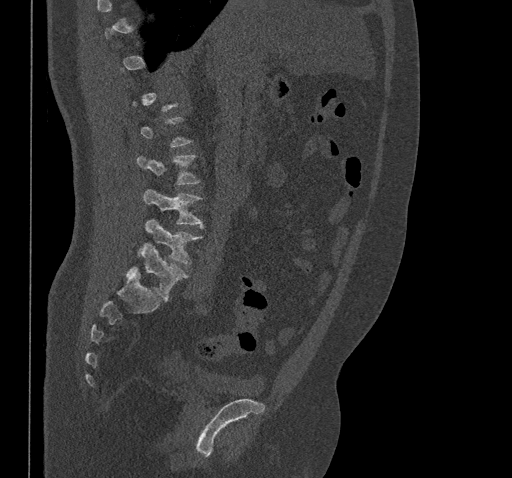
CT. sagittal view. W/L 1800/400 HU
Coordinates as <box>x1,y1,x2,y2</box>.
Each vertebra is boxed only on the slices from the first to the last where its cross-section reaches a third of its largest, so a slice outside that range leaves it unboxed.
Vertebra bounding boxes:
- L5: <box>127,242,187,300</box>
- L4: <box>139,219,203,264</box>
- L3: <box>143,189,204,228</box>
- L2: <box>136,155,199,184</box>